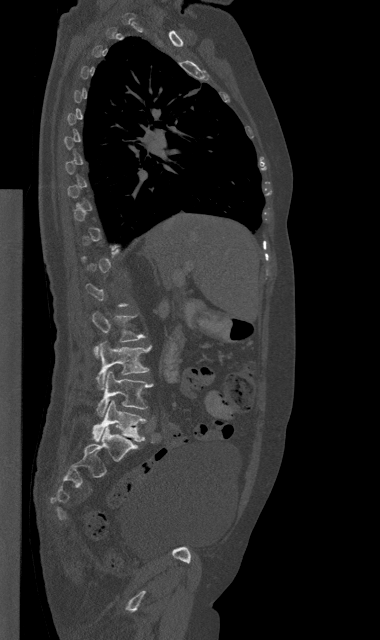 Spine computed tomography — sagittal view — 380 mm wide — 380x640 px
Each vertebra is boxed only on the slices from the first to the last where its cross-section reaches a third of its largest, so a slice outside that range leaves it unboxed.
<vertebrae><v name="L2" x1="92" y1="312" x2="144" y2="357"/><v name="L3" x1="97" y1="341" x2="150" y2="389"/><v name="L4" x1="97" y1="371" x2="152" y2="416"/><v name="L5" x1="92" y1="400" x2="145" y2="441"/></vertebrae>